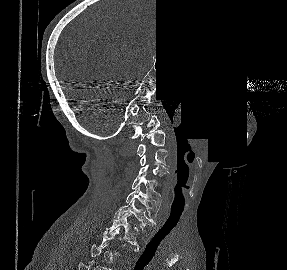
Computed tomography of the spine · sagittal view · bone window · part of the scan has been removed (filled with constant black)

Boxes: x1:y1:x2:y2 in pixels.
A vertebra is boxed only from the first to the last slice where its cross-section is at least a third of its largest; slices outside that range leave it without a box.
C1: 129:115:159:141
C2: 137:130:165:156
C3: 140:149:169:167
C4: 138:163:169:176
C5: 132:172:161:204
C6: 125:186:160:218
C7: 114:199:156:229
T1: 106:213:139:248